Computed tomography of the spine — sagittal plane, index 329
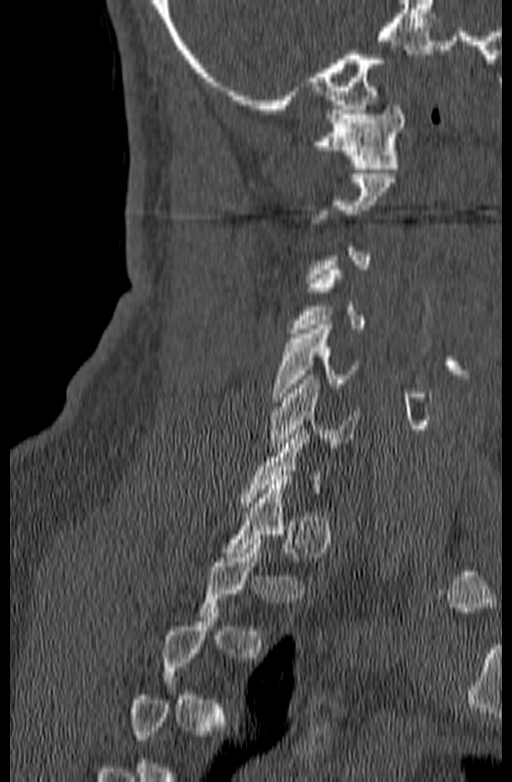 Each box given as x1,y1,x2,y2.
A vertebra is boxed only from the first to the last slice where its cross-section is at least a third of its largest; slices outside that range leave it without a box.
Vertebra bounding boxes:
- C1: x1=311, y1=105, x2=405, y2=168
- C4: x1=288, y1=265, x2=364, y2=333
- C5: x1=272, y1=325, x2=360, y2=401
- C6: x1=268, y1=375, x2=359, y2=452